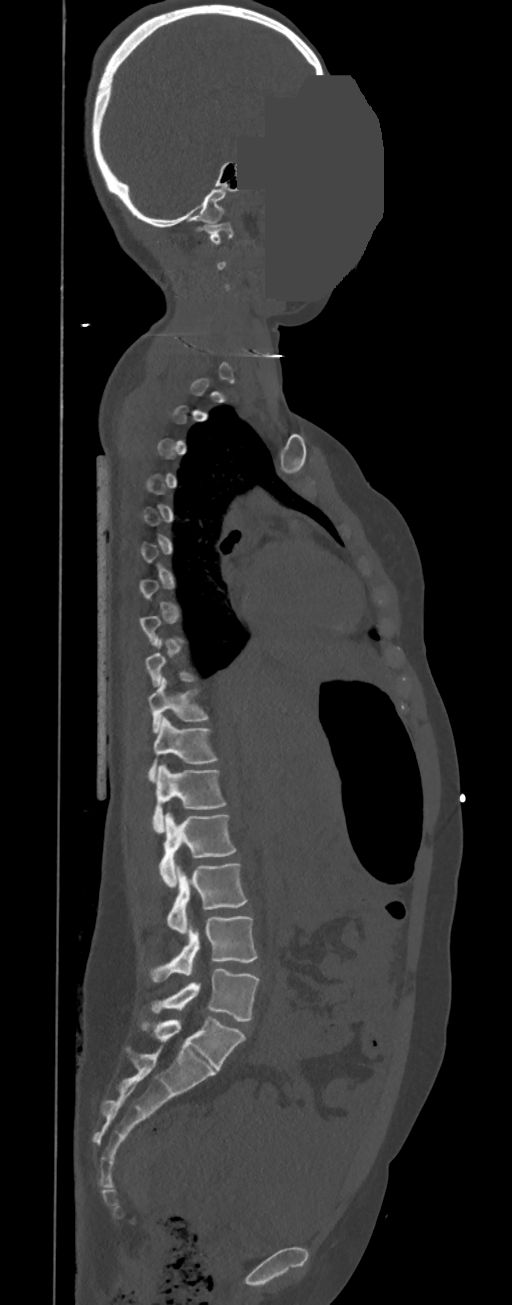

CT spine; sagittal reformat; part of the image is a flat gray fill, not anatomy
Bounding boxes as [x1, y1, x2, y2] in pixel coordinates. Each vertebra is boxed only on the slices from the first to the last where its cross-section reaches a third of its largest, so a slice outside that range leaves it unboxed. In these labels the thoracic vertebrae end at T11, so L1 follows T11. The labeled vertebrae in this slice are: L5 at [150, 968, 259, 1022], L4 at [149, 916, 258, 982], L3 at [167, 862, 247, 932], L2 at [159, 812, 236, 888], L1 at [152, 765, 227, 834], T11 at [148, 716, 218, 782], T10 at [149, 677, 209, 732], C1 at [203, 223, 233, 244].